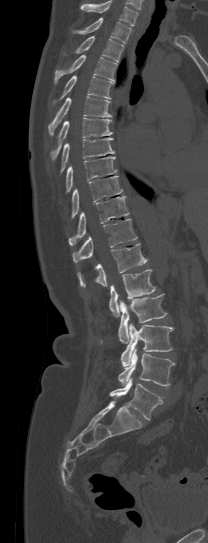

CT — sagittal view — bone window
Boxes are given in columns x1, y1, x2, y2, the pixel coordinates of their top-left and bottom-right corners.
A vertebra cut off by the top edge of the scan is not labeled and has no box.
| vertebra | x1 | y1 | x2 | y2 |
|---|---|---|---|---|
| L5 | 109 | 378 | 163 | 419 |
| L4 | 117 | 347 | 176 | 386 |
| L3 | 121 | 324 | 173 | 366 |
| L2 | 118 | 293 | 166 | 343 |
| L1 | 109 | 269 | 155 | 316 |
| T12 | 77 | 243 | 148 | 287 |
| T11 | 72 | 219 | 137 | 262 |
| T10 | 69 | 196 | 128 | 245 |
| T9 | 72 | 176 | 122 | 217 |
| T8 | 66 | 157 | 116 | 192 |
| T7 | 61 | 138 | 114 | 172 |
| T6 | 50 | 118 | 112 | 159 |
| T5 | 48 | 96 | 112 | 135 |
| T4 | 53 | 75 | 113 | 103 |
| T3 | 54 | 55 | 116 | 83 |
| T2 | 75 | 36 | 123 | 61 |
| T1 | 72 | 18 | 132 | 43 |